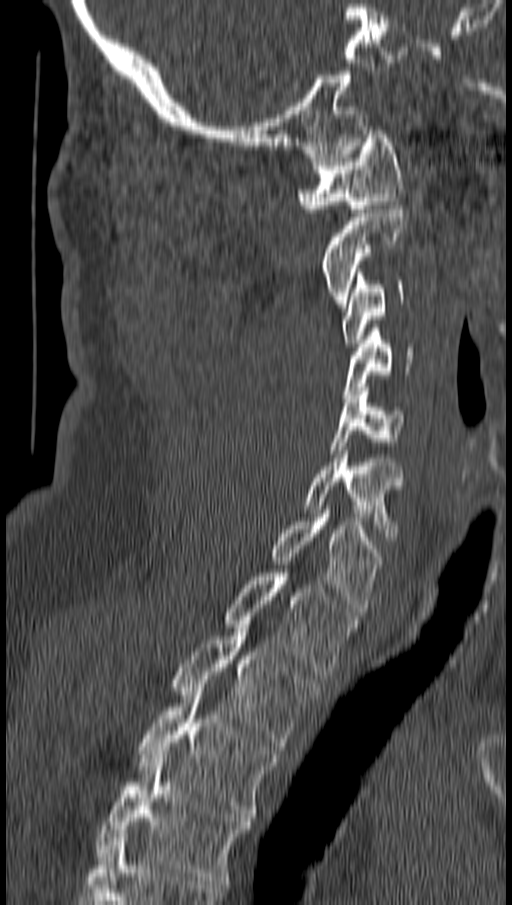
Spine computed tomography. image width 162 mm. sagittal reformat. 512x905 px

Boxes below are [x1, y1, x2, y2] in pixels.
{"vertebrae":{"T4":[96,755,250,884],"T3":[137,691,278,817],"T2":[172,628,319,750],"T1":[222,573,357,675],"C7":[270,510,382,615],"C6":[304,450,407,540],"C5":[330,387,405,453],"C4":[343,328,413,398],"C3":[342,269,403,343],"C2":[320,201,408,307],"C1":[298,126,405,212]}}